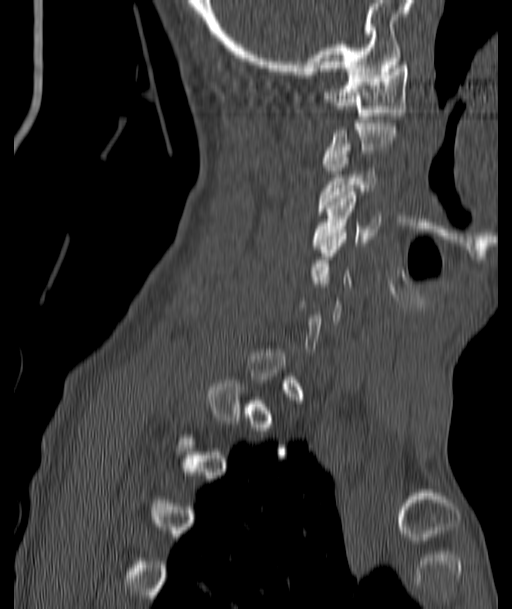
Spine computed tomography; sagittal view; bone-window reconstruction; 512x609 px; image width 187 mm
Boxes: x1:y1:x2:y2 in pixels.
A vertebra gets a box only on the slices from the first to the last where its cross-section is at least a third of its largest; on a slice outside that range it gets none.
Vertebra bounding boxes:
- C1: 324:62:408:122
- C3: 318:147:375:211
- C4: 314:192:380:245